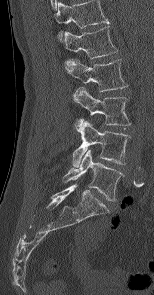

Spine computed tomography. sagittal view. Box edges are left/top/right/bottom in pixels.
Labels in this scan begin with L1 at the top and end with L5 at the bottom.
L1: left=64, top=26, right=117, bottom=58
L2: left=64, top=59, right=126, bottom=91
L3: left=73, top=87, right=130, bottom=125
L4: left=72, top=118, right=128, bottom=167
L5: left=63, top=149, right=123, bottom=200